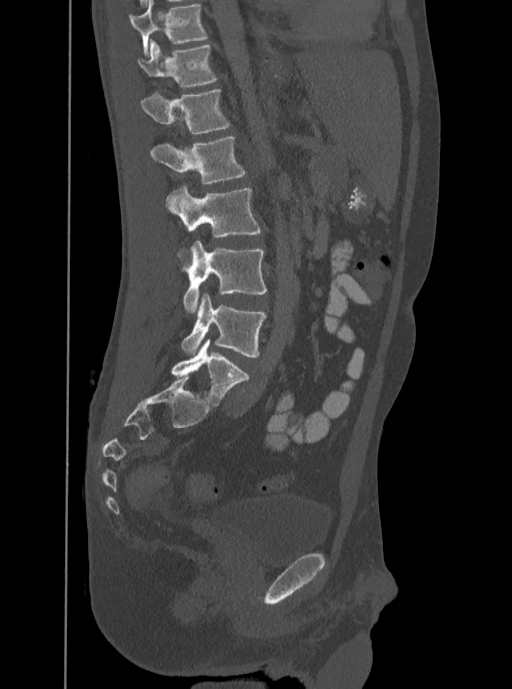
CT, spine — sagittal view — bone-window reconstruction — 512x689 px

Boxes are (x1, y1, x2, y2) in pixels. The highest labeled vertebra in this scan is T12; the lowest is L5. Vertebrae labeled: T12 at (137, 39, 218, 86), L1 at (140, 88, 230, 133), L2 at (150, 136, 246, 183), L3 at (166, 186, 261, 237), L4 at (182, 241, 266, 312), L5 at (180, 294, 266, 357).